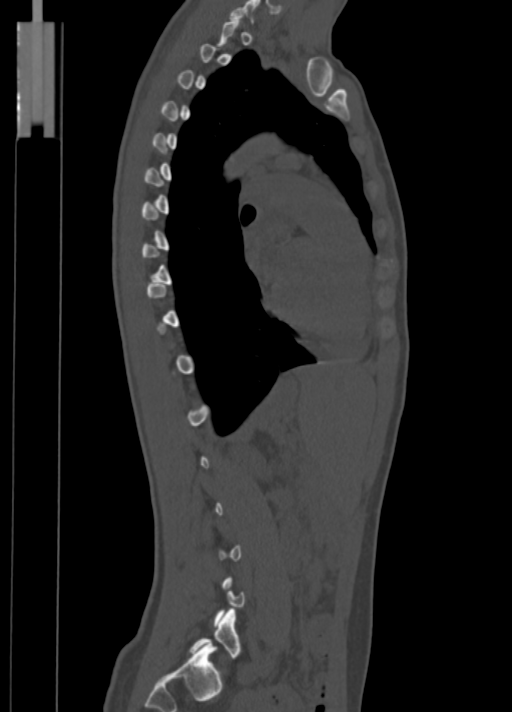 CT spine — sagittal reformat — 350 mm wide
Boxes: x1:y1:x2:y2 in pixels.
Not every vertebra on this slice has a box: a vertebra is boxed only from the first to the last slice where its cross-section is at least a third of its largest, and this slice is outside that range for at least one of them.
C7: 229:0:259:22
L5: 190:609:240:657